CT, spine — sagittal reformat — 281x245 px — part of the image is constant black where the scan was masked
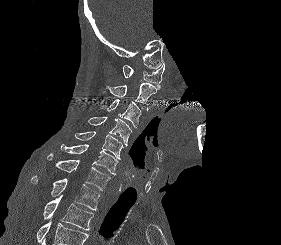

Boxes: x1:y1:x2:y2 in pixels. A vertebra cut off by the bottom edge of the scan is not labeled and has no box. 9 vertebrae labeled — C1 at 123:62:164:89; C2 at 106:83:157:110; C3 at 101:99:141:127; C4 at 87:117:131:145; C5 at 74:131:123:159; C6 at 60:144:118:175; C7 at 47:153:110:190; T1 at 30:176:99:210; T2 at 43:195:93:230.